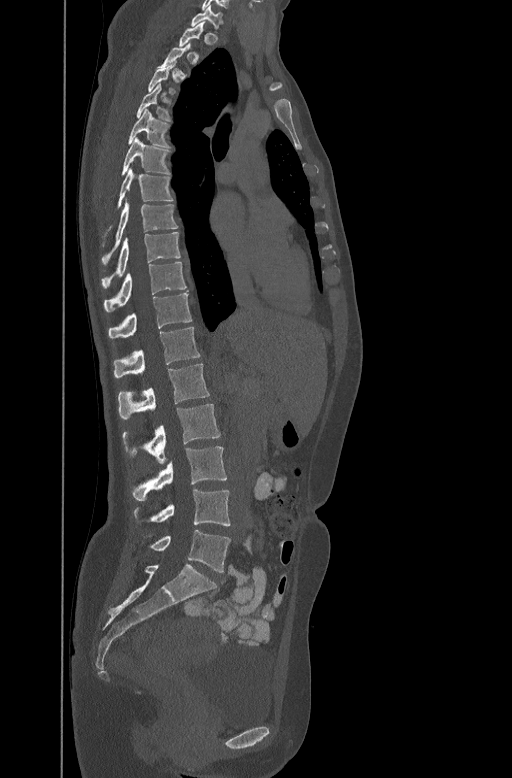 CT spine. sagittal view. W/L 1800/400 HU. 512x778 px
Box edges are left/top/right/bottom in pixels.
Each vertebra is boxed only on the slices from the first to the last where its cross-section reaches a third of its largest, so a slice outside that range leaves it unboxed.
Vertebra bounding boxes:
- C7: left=191, top=7, right=223, bottom=25
- T3: left=148, top=60, right=175, bottom=93
- T4: left=136, top=82, right=171, bottom=119
- T5: left=127, top=108, right=171, bottom=146
- T6: left=121, top=136, right=170, bottom=174
- T7: left=108, top=167, right=173, bottom=229
- T8: left=102, top=199, right=178, bottom=263
- T9: left=102, top=231, right=180, bottom=288
- T10: left=104, top=261, right=187, bottom=310
- T11: left=109, top=292, right=191, bottom=337
- T12: left=113, top=326, right=199, bottom=376
- L1: left=118, top=363, right=210, bottom=419
- L2: left=122, top=404, right=220, bottom=464
- L3: left=132, top=446, right=227, bottom=500
- L4: left=134, top=489, right=230, bottom=526
- L5: left=149, top=530, right=230, bottom=572